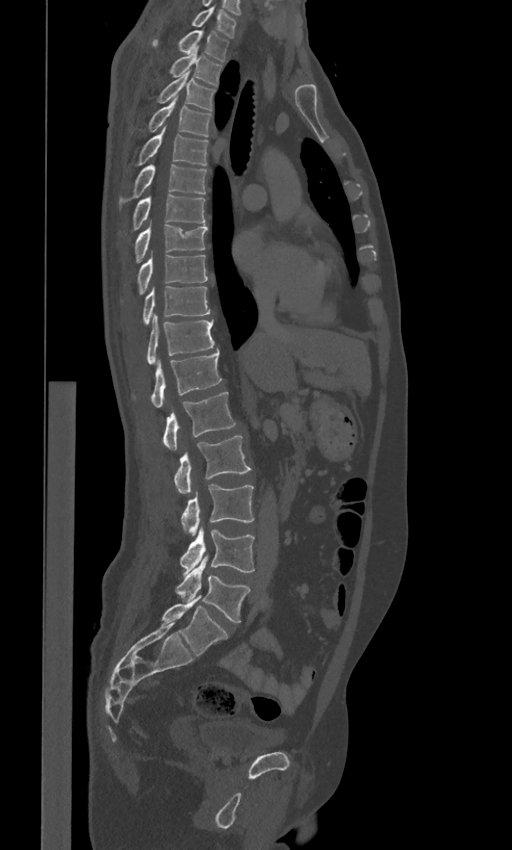
Spine computed tomography · sagittal view · W/L 1800/400 HU · the image spans 443 mm across · 512x850 px
Each row gives a vertebra's box as x1, y1, x2, y2 in pixels: top-left corner, then bottom-right corner.
These labels give the spine a sixth lumbar vertebra, L6, below L5.
| vertebra | x1 | y1 | x2 | y2 |
|---|---|---|---|---|
| L6 | 161 | 595 | 228 | 655 |
| L5 | 175 | 558 | 250 | 622 |
| L4 | 180 | 526 | 254 | 574 |
| L3 | 181 | 484 | 253 | 536 |
| L2 | 173 | 435 | 251 | 494 |
| L1 | 163 | 392 | 236 | 451 |
| T12 | 151 | 350 | 222 | 408 |
| T11 | 147 | 313 | 214 | 364 |
| T10 | 143 | 286 | 209 | 322 |
| T9 | 137 | 251 | 207 | 294 |
| T8 | 135 | 219 | 207 | 262 |
| T7 | 133 | 195 | 205 | 229 |
| T6 | 120 | 164 | 207 | 202 |
| T5 | 137 | 126 | 208 | 164 |
| T4 | 148 | 97 | 212 | 135 |
| T3 | 157 | 72 | 215 | 110 |
| T2 | 170 | 46 | 222 | 85 |
| T1 | 152 | 30 | 228 | 61 |
| C7 | 192 | 8 | 236 | 37 |